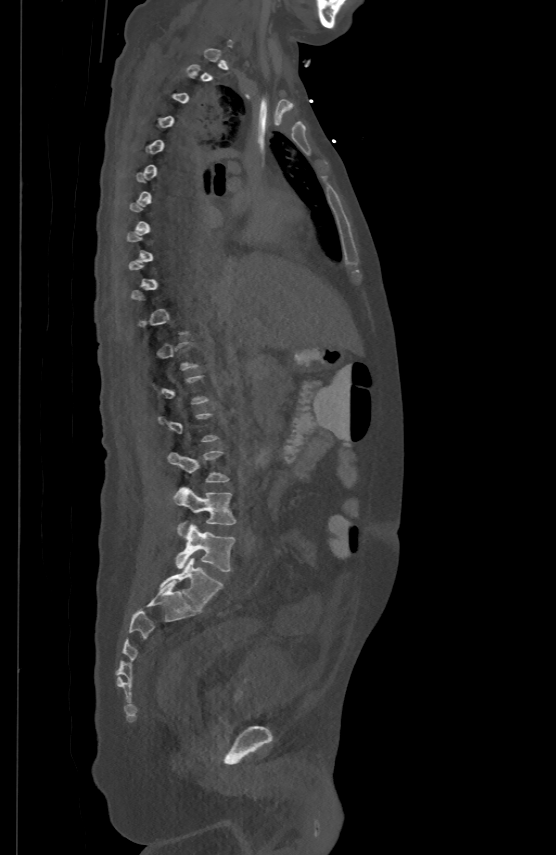
CT, spine — sagittal view — Bone window (WL 400, WW 1800) — 556x855 px. Boxes: x1 y1 x2 y2 (pixel coords, space-separated).
A vertebra gets a box only on the slices from the first to the last where its cross-section is at least a third of its largest; on a slice outside that range it gets none.
L3: 168 450 229 482
L4: 173 487 236 524
L5: 176 524 234 571